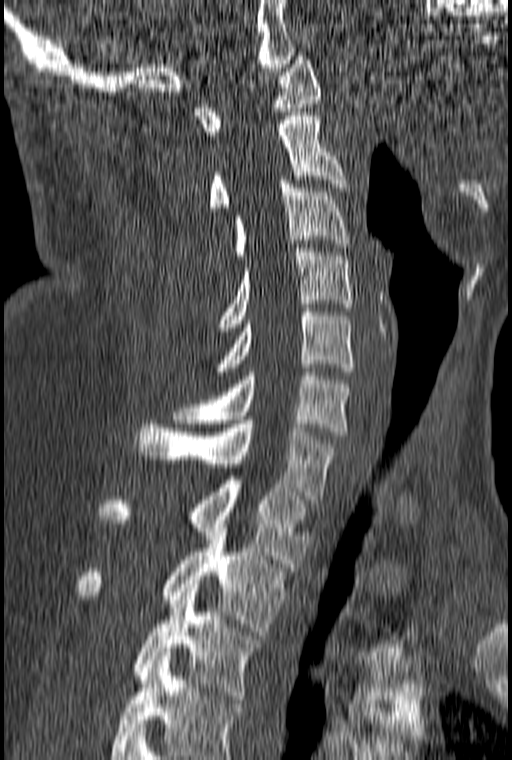 Spine CT. sagittal view. 160 mm image width. 512x760 px. Bounding boxes as [x1, y1, x2, y2] in pixel coordinates.
Labels in this scan begin with C1 at the top and end with T3 at the bottom.
C1: [196, 56, 322, 135]
C2: [209, 112, 347, 211]
C3: [234, 176, 349, 255]
C4: [220, 248, 352, 327]
C5: [215, 308, 353, 371]
C6: [171, 372, 352, 435]
C7: [136, 420, 336, 503]
T1: [100, 480, 310, 571]
T2: [78, 524, 285, 635]
T3: [132, 584, 263, 699]